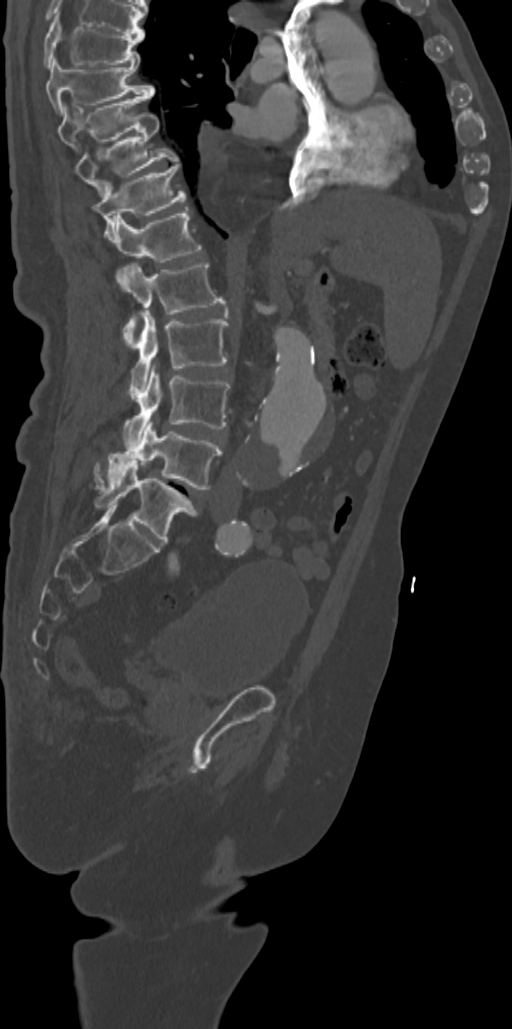

Spine computed tomography; sagittal reformat
Columns x1, y1, x2, y2 give each box's top-left and bottom-right pixels.
In this scan, the topmost labeled vertebra is T7 and the lowest is L5.
| vertebra | x1 | y1 | x2 | y2 |
|---|---|---|---|---|
| T7 | 43 | 16 | 144 | 66 |
| T8 | 46 | 56 | 154 | 114 |
| T9 | 58 | 94 | 150 | 150 |
| T10 | 75 | 112 | 179 | 197 |
| T11 | 93 | 164 | 186 | 242 |
| T12 | 115 | 207 | 202 | 262 |
| L1 | 117 | 263 | 225 | 345 |
| L2 | 129 | 312 | 228 | 399 |
| L3 | 123 | 368 | 229 | 448 |
| L4 | 94 | 422 | 222 | 489 |
| L5 | 94 | 463 | 196 | 543 |